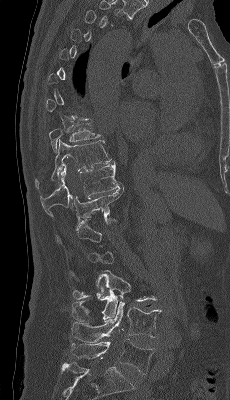

Computed tomography of the spine — sagittal view — W/L 1800/400 HU — the image is 230 mm wide

Each box given as x1,y1,x2,y2.
Not every vertebra on this slice has a box: a vertebra is boxed only from the first to the last slice where its cross-section is at least a third of its largest, and this slice is outside that range for at least one of them.
L5: x1=70, y1=339, x2=155, y2=374
L4: x1=71, y1=299, x2=161, y2=342
L3: x1=72, y1=270, x2=156, y2=320
T12: x1=55, y1=186, x2=124, y2=244
T11: x1=40, y1=164, x2=122, y2=216
T10: x1=35, y1=140, x2=115, y2=189
T9: x1=49, y1=123, x2=101, y2=151